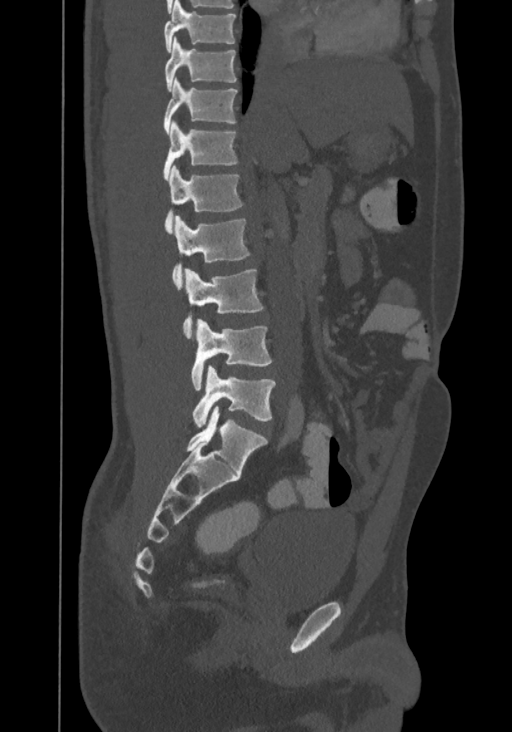

CT spine; sagittal view

Box values are [left, top, right, bottom] in pixels.
Labels in this scan begin with T8 at the top and end with L4 at the bottom.
{"vertebrae":{"T8":[164,0,236,52],"T9":[164,36,236,91],"T10":[163,77,237,135],"T11":[163,121,237,180],"T12":[164,166,243,234],"L1":[172,216,250,289],"L2":[182,269,264,339],"L3":[191,319,272,389],"L4":[192,365,275,427]}}